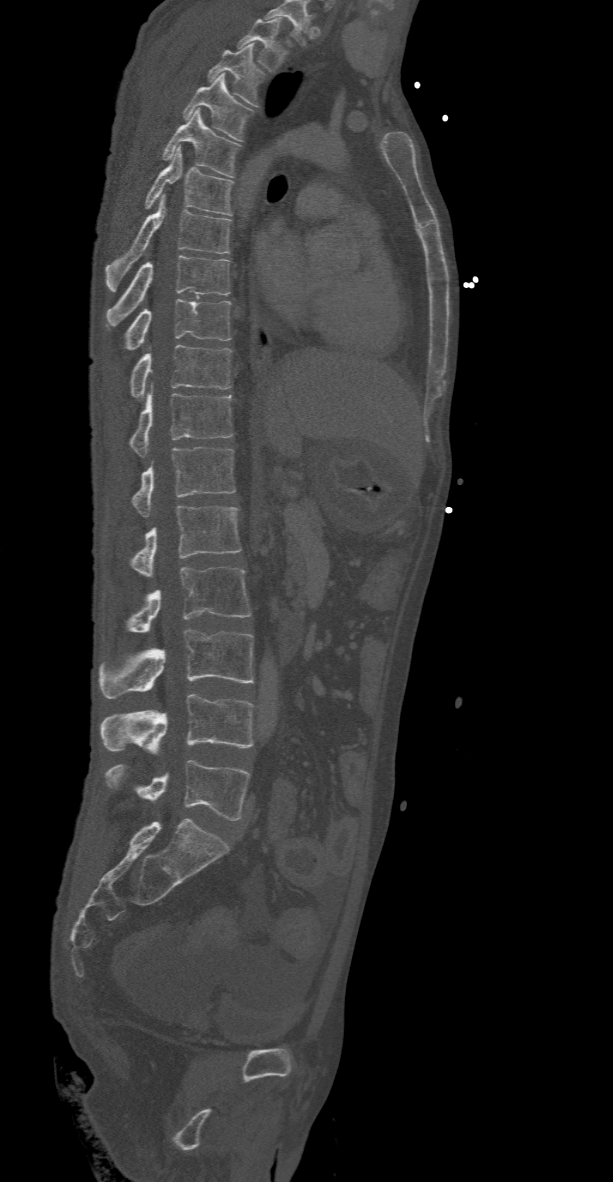

CT spine; sagittal view; bone window; 613x1182 px
The highest labeled vertebra in this scan is T2; the lowest is L5.
<vertebrae><v name="L5" x1="104" y1="759" x2="251" y2="820"/><v name="L4" x1="99" y1="694" x2="254" y2="751"/><v name="L3" x1="99" y1="629" x2="254" y2="698"/><v name="L2" x1="128" y1="567" x2="251" y2="633"/><v name="L1" x1="132" y1="506" x2="241" y2="578"/><v name="T12" x1="132" y1="447" x2="235" y2="516"/><v name="T11" x1="129" y1="382" x2="233" y2="455"/><v name="T10" x1="129" y1="344" x2="233" y2="398"/><v name="T9" x1="127" y1="299" x2="230" y2="350"/><v name="T8" x1="107" y1="256" x2="230" y2="326"/><v name="T7" x1="104" y1="196" x2="230" y2="291"/><v name="T6" x1="143" y1="147" x2="234" y2="215"/><v name="T5" x1="162" y1="109" x2="241" y2="178"/><v name="T4" x1="181" y1="74" x2="254" y2="141"/><v name="T3" x1="206" y1="44" x2="265" y2="106"/><v name="T2" x1="238" y1="19" x2="288" y2="73"/></vertebrae>